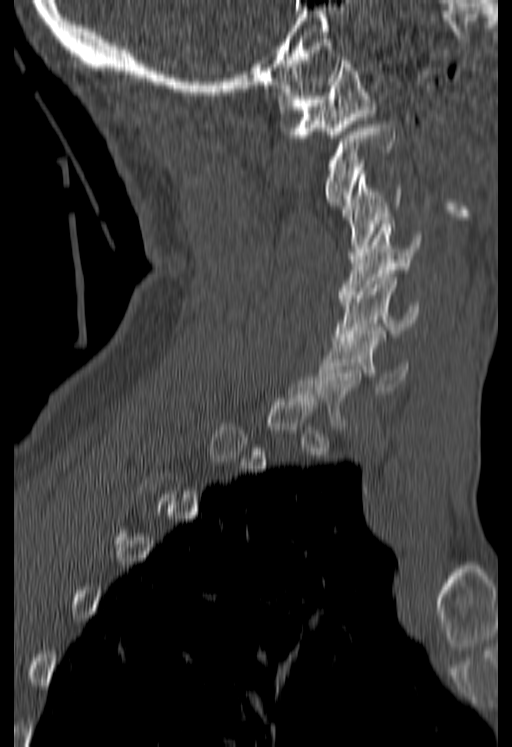

Spine CT. sagittal view. W/L 1800/400 HU. 512x747 px
Columns x1, y1, x2, y2 give each box's top-left and bottom-right pixels.
A vertebra gets a box only on the slices from the first to the last where its cross-section is at least a third of its largest; on a slice outside that range it gets none.
| vertebra | x1 | y1 | x2 | y2 |
|---|---|---|---|---|
| C1 | 278 | 57 | 373 | 138 |
| C2 | 325 | 124 | 395 | 205 |
| C3 | 342 | 171 | 402 | 255 |
| C4 | 339 | 224 | 421 | 298 |
| C5 | 333 | 274 | 418 | 340 |
| C6 | 319 | 331 | 407 | 394 |